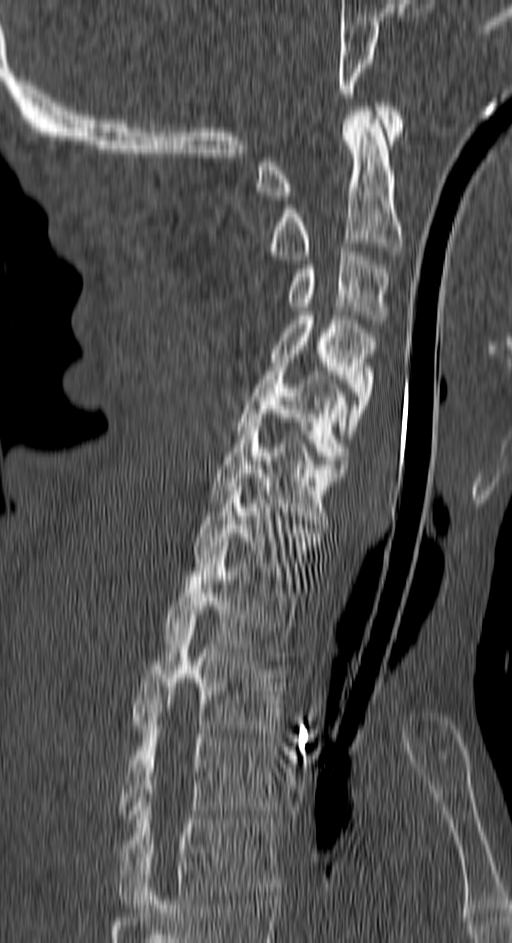
CT, spine — the image spans 150 mm across — sagittal view
Boxes below are [x1, y1, x2, y2] in pixels.
{"vertebrae":{"C1":[257,102,403,200],"C2":[271,107,403,259],"C3":[288,247,389,323],"C4":[271,311,376,438],"C5":[236,367,348,468],"C6":[209,418,345,528],"C7":[196,474,321,588],"T1":[165,546,298,660],"T2":[131,619,285,733],"T3":[121,717,277,822],"T4":[117,798,277,908]}}